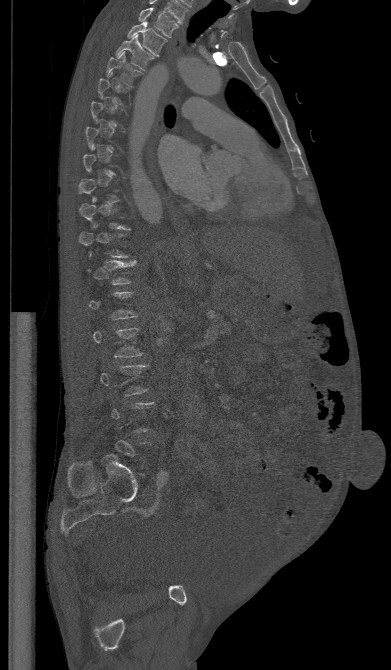

Computed tomography of the spine. the image spans 391 mm across. sagittal view. W/L 1800/400 HU. Boxes are given in columns x1, y1, x2, y2, the pixel coordinates of their top-left and bottom-right corners.
Not every vertebra on this slice has a box: a vertebra is boxed only from the first to the last slice where its cross-section is at least a third of its largest, and this slice is outside that range for at least one of them.
| vertebra | x1 | y1 | x2 | y2 |
|---|---|---|---|---|
| T1 | 138 | 8 | 178 | 37 |
| T2 | 127 | 21 | 167 | 57 |
| T3 | 115 | 34 | 154 | 70 |
| T4 | 106 | 51 | 142 | 86 |